Computed tomography of the spine. sagittal plane, index 214. W/L 1800/400 HU
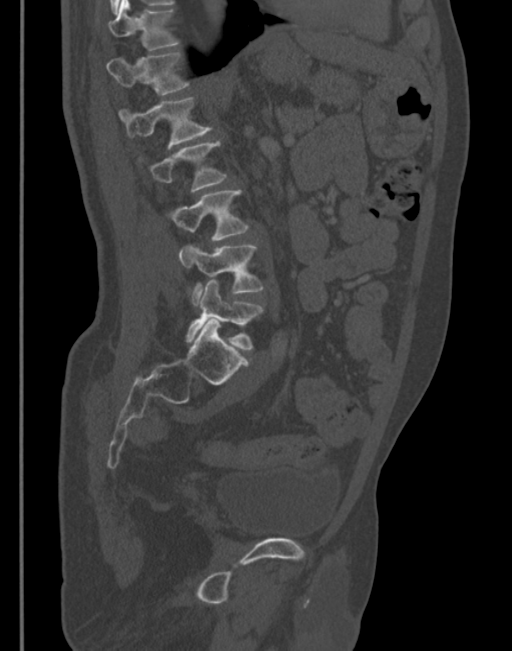 Each row gives a vertebra's box as x1, y1, x2, y2 in pixels: top-left corner, then bottom-right corner.
| vertebra | x1 | y1 | x2 | y2 |
|---|---|---|---|---|
| L5 | 187 | 280 | 263 | 350 |
| L4 | 179 | 245 | 263 | 304 |
| L3 | 167 | 189 | 248 | 240 |
| L2 | 138 | 141 | 226 | 191 |
| L1 | 118 | 97 | 211 | 149 |
| T12 | 107 | 52 | 189 | 95 |
| T11 | 108 | 0 | 178 | 50 |